Computed tomography of the spine · sagittal plane, index 375 · W/L 1800/400 HU · 11 vertebrae labeled in this scan
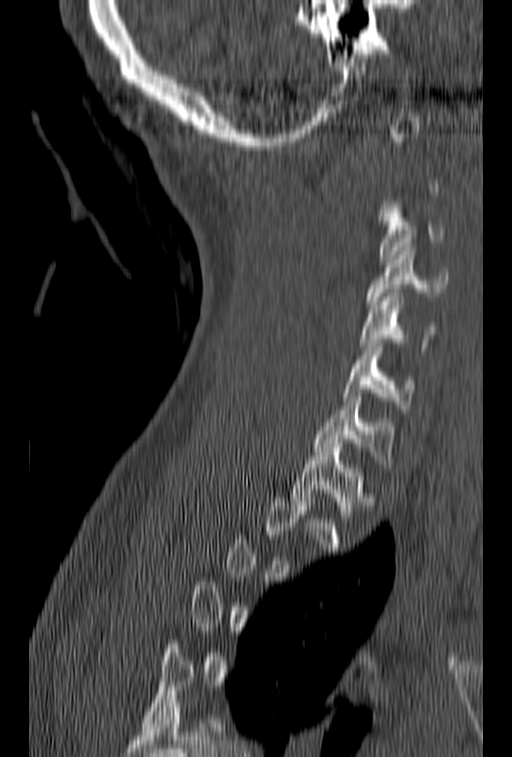
Box edges are left/top/right/bottom in pixels. Not every vertebra on this slice has a box: a vertebra is boxed only from the first to the last slice where its cross-section is at least a third of its largest, and this slice is outside that range for at least one of them. Vertebrae labeled: C3 at left=379, top=201, right=445, bottom=263, C4 at left=366, top=247, right=449, bottom=309, C5 at left=359, top=293, right=437, bottom=350, C6 at left=343, top=343, right=415, bottom=413, C7 at left=312, top=393, right=395, bottom=467, T1 at left=292, top=443, right=374, bottom=530.